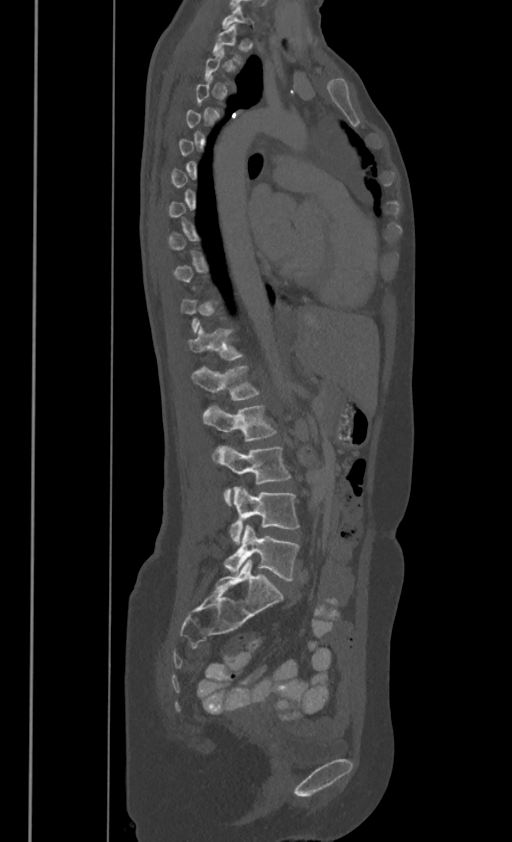 CT spine; the image is 386 mm wide; sagittal reformat
Each box is [x1, y1, x2, y2] in pixels: top-left corner, then bottom-right corner.
Each vertebra is boxed only on the slices from the first to the last where its cross-section reaches a third of its largest, so a slice outside that range leaves it unboxed.
These labels give this spine no T12: after T11 the next vertebra is L1.
{"vertebrae":{"T1":[212,24,243,61],"T11":[188,325,243,360],"L1":[192,364,259,399],"L2":[203,402,276,457],"L3":[215,445,291,505],"L4":[229,486,299,543],"L5":[224,525,299,580]}}